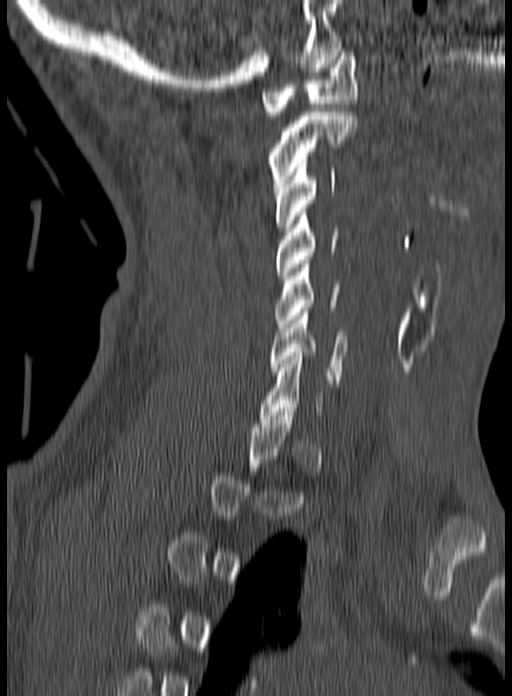 CT, spine · sagittal view · bone window
Boxes are (x1, y1, x2, y2) in pixels. A vertebra gets a box only on the slices from the first to the last where its cross-section is at least a third of its largest; on a slice outside that range it gets none. 6 vertebrae labeled — C1 at (261, 48, 358, 115); C2 at (270, 112, 357, 187); C3 at (273, 160, 336, 231); C4 at (276, 208, 337, 279); C5 at (275, 260, 339, 331); C6 at (269, 308, 347, 383).